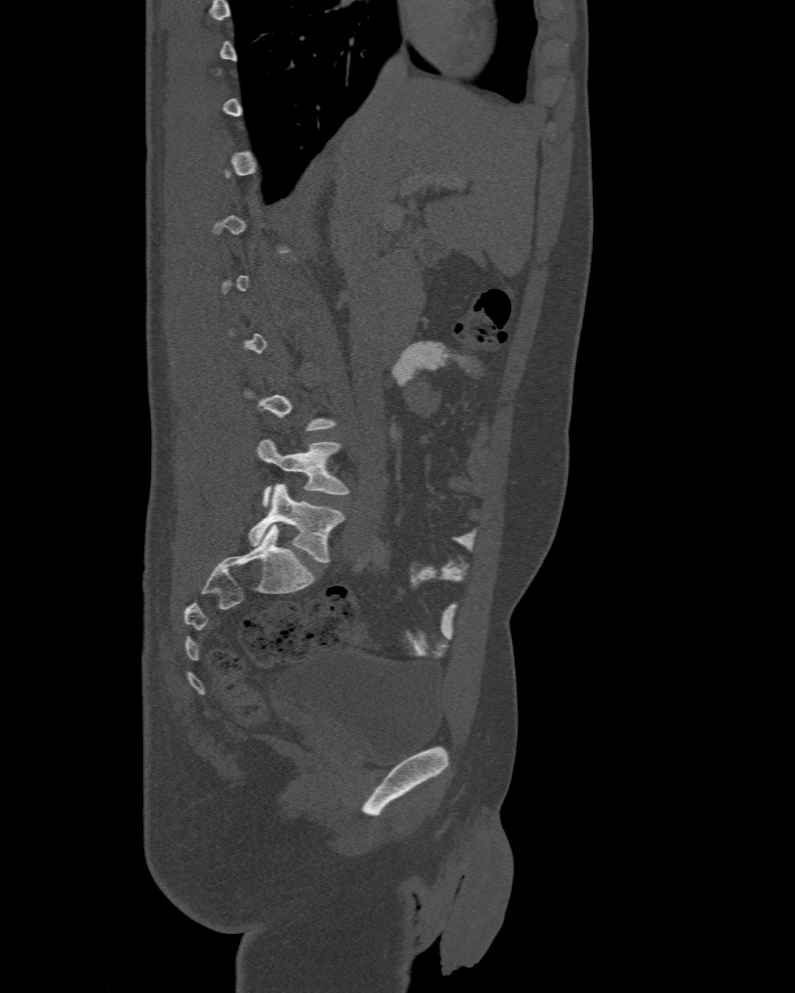
Computed tomography of the spine. sagittal view. 795x993 px. Bounding boxes as [x1, y1, x2, y2] in pixel coordinates.
Each vertebra is boxed only on the slices from the first to the last where its cross-section reaches a third of its largest, so a slice outside that range leaves it unboxed.
The labels name a sixth lumbar vertebra for this spine: L6, after L5.
Vertebra bounding boxes:
- L6: [248, 483, 344, 562]
- L5: [256, 440, 348, 506]